Spine computed tomography · 190 mm across the image · sagittal view · 512x694 px · scan covers 12 annotated vertebrae
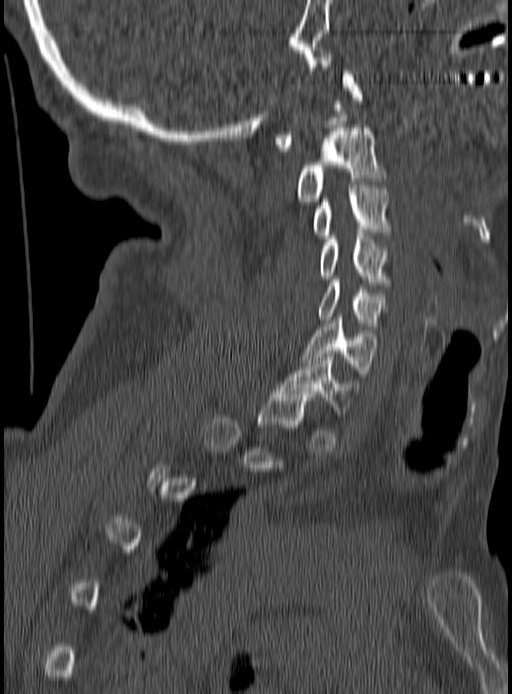

Box values are [left, top, right, bottom] in pixels.
A vertebra gets a box only on the slices from the first to the last where its cross-section is at least a third of its largest; on a slice outside that range it gets none.
{"vertebrae":{"C1":[274,71,362,151],"C2":[297,128,383,201],"C3":[313,182,388,238],"C4":[319,232,388,285],"C5":[319,280,385,329],"C6":[303,317,374,376],"C7":[278,354,359,413]}}